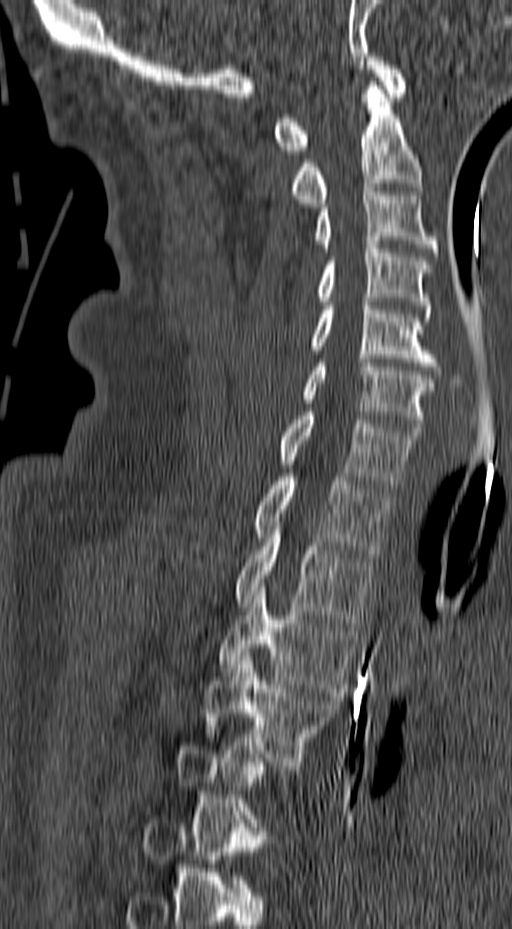

Spine CT · sagittal view · Bone window (WL 400, WW 1800) · 512x929 px. Boxes: x1:y1:x2:y2 in pixels.
Each vertebra is boxed only on the slices from the first to the last where its cross-section reaches a third of its largest, so a slice outside that range leaves it unboxed.
Vertebra bounding boxes:
- C1: 274:57:406:154
- C2: 288:82:422:207
- C3: 314:188:440:252
- C4: 314:245:434:317
- C5: 311:302:442:374
- C6: 301:359:434:431
- C7: 278:412:421:488
- T1: 252:477:391:557
- T2: 233:518:375:627
- T3: 218:583:359:696
- T4: 203:652:339:765